CT · sagittal view · Bone window (WL 400, WW 1800) · scan covers 11 annotated vertebrae
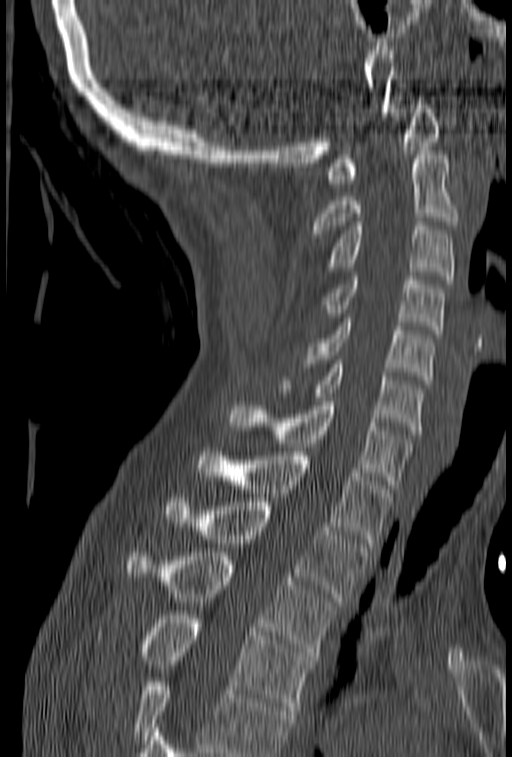 Boxes: x1:y1:x2:y2 in pixels. Vertebrae that run past the bottom of the scan are left unlabeled. Vertebrae labeled: C1 at 326:96:439:183, C2 at 309:151:457:237, C3 at 323:218:455:279, C4 at 322:276:445:334, C5 at 305:314:435:380, C6 at 278:360:425:434, C7 at 229:397:412:488, T1 at 198:448:392:547, T2 at 165:498:372:601, T3 at 127:552:335:660, T4 at 98:615:315:710.